CT spine. Sagittal slice 201/365. bone-window reconstruction. 365x619 px
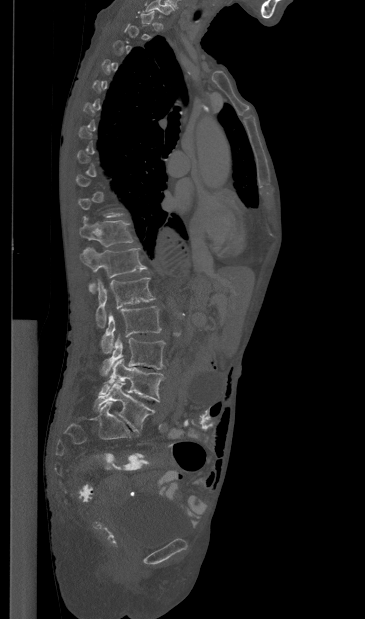

Boxes: x1 y1 x2 y2 (pixel coords, space-separated). A vertebra gets a box only on the slices from the first to the last where its cross-section is at least a third of its largest; on a slice outside that range it gets none. The labeled vertebrae in this slice are: L5 at 93 383 154 432, L4 at 99 358 163 402, L3 at 100 335 165 375, L2 at 101 306 161 353, L1 at 96 277 155 327, T12 at 80 247 146 293, T11 at 79 216 133 247.